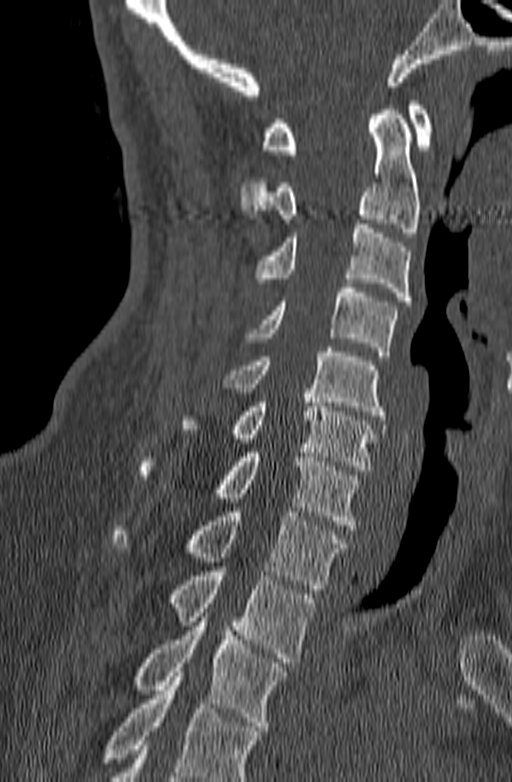 Computed tomography of the spine. 140 mm wide. sagittal view. W/L 1800/400 HU
Each row gives a vertebra's box as x1, y1, x2, y2 in pixels: top-left corner, then bottom-right corner.
Where the bottom of the scan cuts through a vertebra, that vertebra gets no label or box.
| vertebra | x1 | y1 | x2 | y2 |
|---|---|---|---|---|
| C1 | 261 | 101 | 432 | 154 |
| C2 | 241 | 110 | 420 | 237 |
| C3 | 256 | 224 | 412 | 305 |
| C4 | 246 | 283 | 397 | 356 |
| C5 | 224 | 347 | 384 | 420 |
| C6 | 181 | 393 | 377 | 470 |
| C7 | 138 | 448 | 359 | 529 |
| T1 | 111 | 507 | 348 | 589 |
| T2 | 170 | 571 | 315 | 662 |
| T3 | 132 | 617 | 288 | 730 |